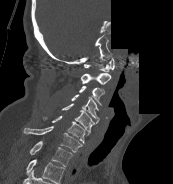

Computed tomography of the spine — sagittal reformat — bone window — 173x184 px — part of the image is constant black where the scan was masked
The highest labeled vertebra in this scan is C1; the lowest is T1.
<vertebrae><v name="C1" x1="84" y1="58" x2="114" y2="71"/><v name="C2" x1="81" y1="73" x2="111" y2="84"/><v name="C3" x1="79" y1="86" x2="104" y2="105"/><v name="C4" x1="71" y1="94" x2="99" y2="123"/><v name="C5" x1="61" y1="103" x2="95" y2="132"/><v name="C6" x1="42" y1="115" x2="89" y2="144"/><v name="C7" x1="23" y1="126" x2="82" y2="152"/><v name="T1" x1="29" y1="141" x2="72" y2="166"/></vertebrae>